CT, spine — sagittal reformat — 768x1012 px
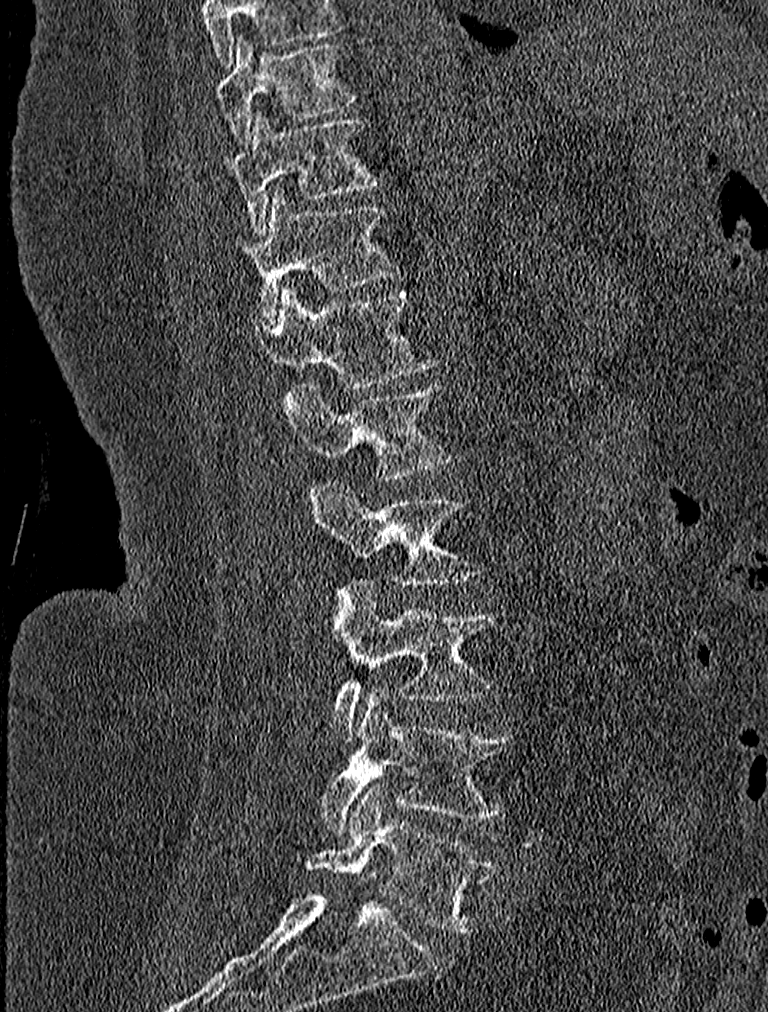

Coordinates as <box>x1,y1,x2,y2</box>.
This scan's labels start at T9 at the top and end at L5 at the bottom.
L5: <box>307,783,495,932</box>
L4: <box>320,685,514,833</box>
L3: <box>330,580,492,739</box>
L2: <box>310,481,482,587</box>
L1: <box>283,382,455,480</box>
T12: <box>260,288,438,389</box>
T11: <box>235,190,397,323</box>
T10: <box>225,111,380,232</box>
T9: <box>215,35,356,142</box>